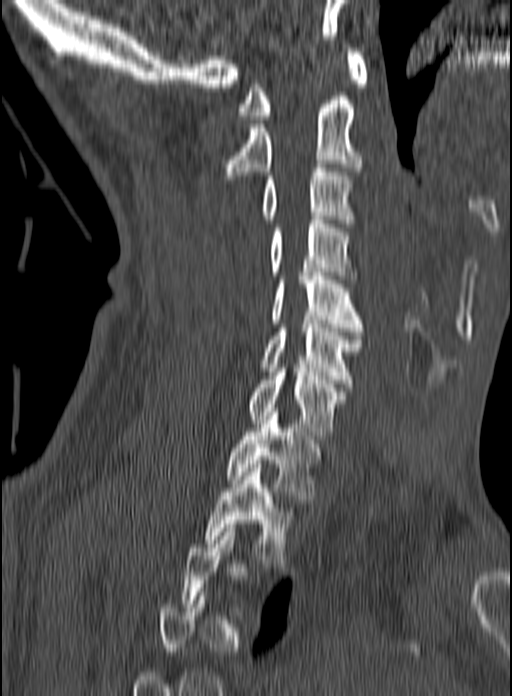

Spine CT · sagittal view. Coordinates as <box>x1,y1,x2,y2</box>.
Not every vertebra on this slice has a box: a vertebra is boxed only from the first to the last slice where its cross-section is at least a third of its largest, and this slice is outside that range for at least one of them.
Vertebra bounding boxes:
- T2: <box>203,464,294,567</box>
- T1: <box>225,412,320,503</box>
- C7: <box>248,368,346,439</box>
- C6: <box>260,320,362,387</box>
- C5: <box>271,272,363,335</box>
- C4: <box>269,220,357,279</box>
- C3: <box>260,164,355,223</box>
- C2: <box>223,88,362,179</box>
- C1: <box>238,48,368,119</box>